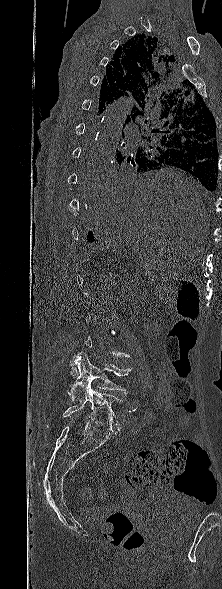
Spine computed tomography. sagittal view. 222x589 px. Boxes are given in columns x1, y1, x2, y2, the pixel coordinates of their top-left and bottom-right corners.
A vertebra is boxed only from the first to the last slice where its cross-section is at least a third of its largest; slices outside that range leave it without a box.
| vertebra | x1 | y1 | x2 | y2 |
|---|---|---|---|---|
| L4 | 68 | 352 | 132 | 401 |
| L5 | 62 | 381 | 122 | 432 |